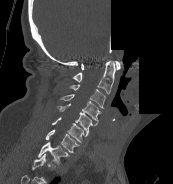 CT spine; sagittal view; 173x184 px; the image is 173 mm wide; a region of this slice is masked with a uniform fill
Boxes below are [x1, y1, x2, y2] in pixels.
This scan's labels start at C1 at the top and end at T1 at the bottom.
{"vertebrae":{"C1":[81,61,120,69],"C2":[73,60,115,93],"C3":[69,84,105,108],"C4":[59,94,101,122],"C5":[56,103,97,134],"C6":[52,117,87,144],"C7":[45,129,79,152],"T1":[38,140,69,164]}}